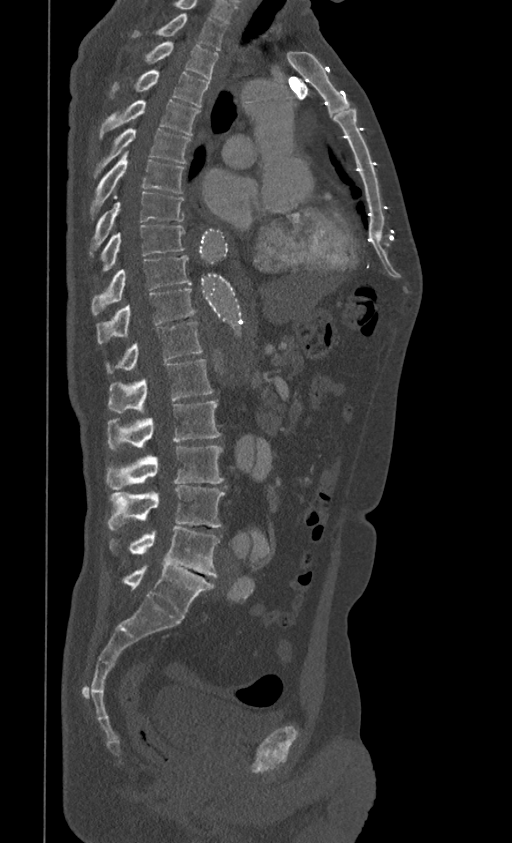
CT spine — sagittal view — bone-window reconstruction
This scan's labels start at T1 at the top and end at L5 at the bottom.
<vertebrae><v name="T1" x1="132" y1="13" x2="226" y2="50"/><v name="T2" x1="147" y1="42" x2="218" y2="80"/><v name="T3" x1="110" y1="70" x2="209" y2="106"/><v name="T4" x1="99" y1="99" x2="199" y2="139"/><v name="T5" x1="94" y1="128" x2="190" y2="177"/><v name="T6" x1="90" y1="151" x2="184" y2="217"/><v name="T7" x1="90" y1="192" x2="184" y2="254"/><v name="T8" x1="100" y1="224" x2="185" y2="272"/><v name="T9" x1="91" y1="255" x2="191" y2="314"/><v name="T10" x1="96" y1="288" x2="195" y2="343"/><v name="T11" x1="106" y1="322" x2="202" y2="372"/><v name="T12" x1="108" y1="359" x2="213" y2="412"/><v name="L1" x1="108" y1="401" x2="221" y2="451"/><v name="L2" x1="106" y1="446" x2="223" y2="489"/><v name="L3" x1="108" y1="485" x2="225" y2="529"/><v name="L4" x1="109" y1="527" x2="220" y2="576"/><v name="L5" x1="122" y1="565" x2="213" y2="618"/></vertebrae>